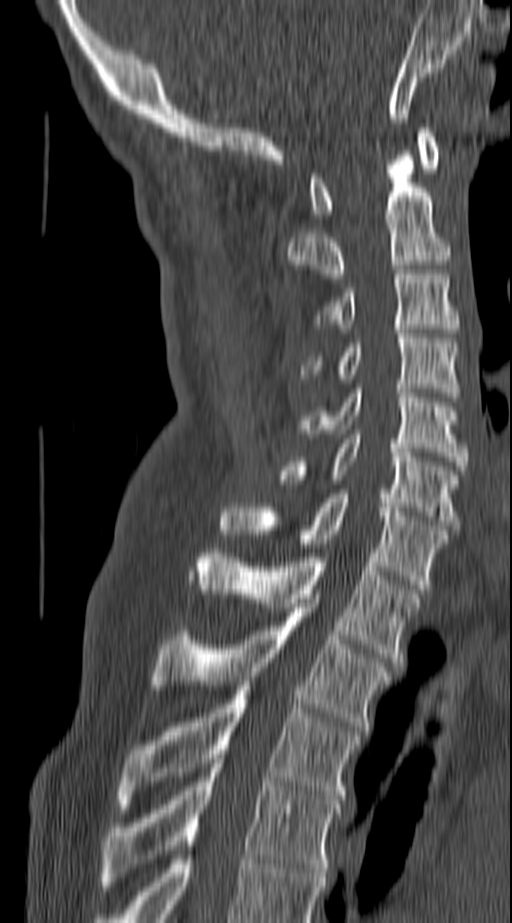 Spine computed tomography — sagittal reformat — bone window — 512x923 px
<vertebrae><v name="C1" x1="309" y1="128" x2="439" y2="218"/><v name="C2" x1="287" y1="151" x2="450" y2="278"/><v name="C3" x1="316" y1="274" x2="457" y2="328"/><v name="C4" x1="301" y1="334" x2="461" y2="397"/><v name="C5" x1="298" y1="389" x2="468" y2="470"/><v name="C6" x1="279" y1="434" x2="457" y2="529"/><v name="C7" x1="221" y1="494" x2="450" y2="589"/><v name="T1" x1="192" y1="549" x2="421" y2="666"/><v name="T2" x1="151" y1="603" x2="392" y2="730"/><v name="T3" x1="118" y1="686" x2="359" y2="808"/><v name="T4" x1="100" y1="763" x2="340" y2="890"/></vertebrae>